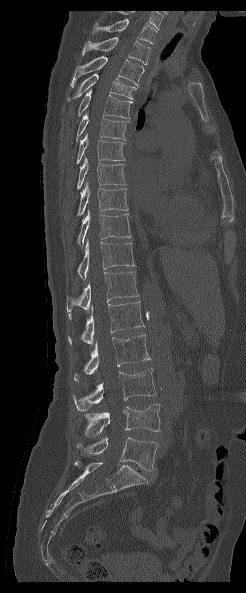

CT, spine. sagittal reformat. 246x593 px
Columns x1, y1, x2, y2 give each box's top-left and bottom-right pixels.
Labels in this scan begin with T1 at the top and end with L5 at the bottom.
| vertebra | x1 | y1 | x2 | y2 |
|---|---|---|---|---|
| L5 | 77 | 437 | 157 | 470 |
| L4 | 83 | 404 | 160 | 436 |
| L3 | 73 | 368 | 156 | 411 |
| L2 | 74 | 334 | 150 | 381 |
| L1 | 68 | 301 | 144 | 344 |
| T12 | 66 | 270 | 139 | 319 |
| T11 | 77 | 239 | 134 | 279 |
| T10 | 77 | 209 | 131 | 245 |
| T9 | 77 | 182 | 128 | 215 |
| T8 | 77 | 157 | 125 | 189 |
| T7 | 76 | 133 | 125 | 164 |
| T6 | 76 | 113 | 129 | 141 |
| T5 | 77 | 90 | 132 | 118 |
| T4 | 67 | 74 | 136 | 100 |
| T3 | 71 | 56 | 144 | 87 |
| T2 | 81 | 37 | 150 | 64 |
| T1 | 91 | 18 | 157 | 44 |